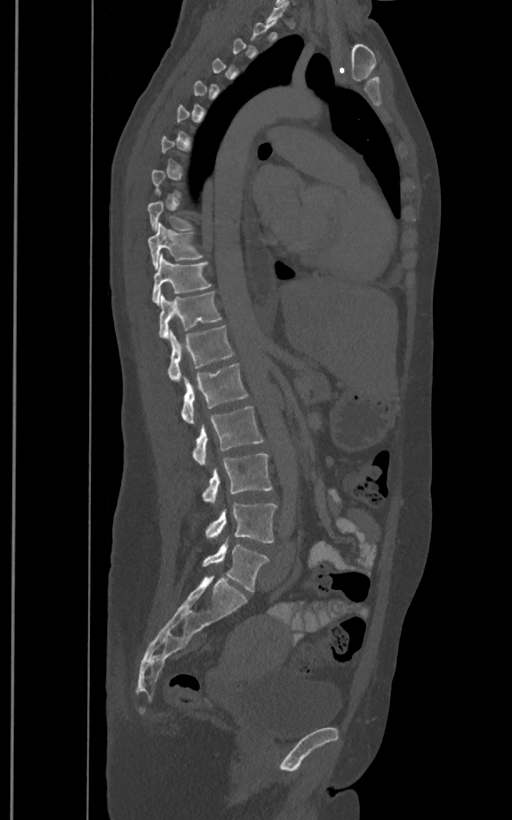

CT, spine · sagittal reformat. Each box given as x1,y1,x2,y2. A vertebra is boxed only from the first to the last slice where its cross-section is at least a third of its largest; slices outside that range leave it without a box. The labels name a sixth lumbar vertebra for this spine: L6, after L5. The labeled vertebrae in this slice are: T10 at x1=148, y1=222, x2=202, y2=267, T11 at x1=152, y1=255, x2=211, y2=304, T12 at x1=159, y1=291, x2=222, y2=338, L1 at x1=168, y1=325, x2=234, y2=381, L2 at x1=182, y1=363, x2=248, y2=424, L3 at x1=192, y1=406, x2=265, y2=464, L4 at x1=202, y1=453, x2=273, y2=504, L5 at x1=205, y1=503, x2=277, y2=543, L6 at x1=202, y1=540, x2=269, y2=591.